CT spine · 350 mm wide · sagittal view · Bone window (WL 400, WW 1800) · 512x1305 px · a portion of the image is blanked out (constant pixel value)
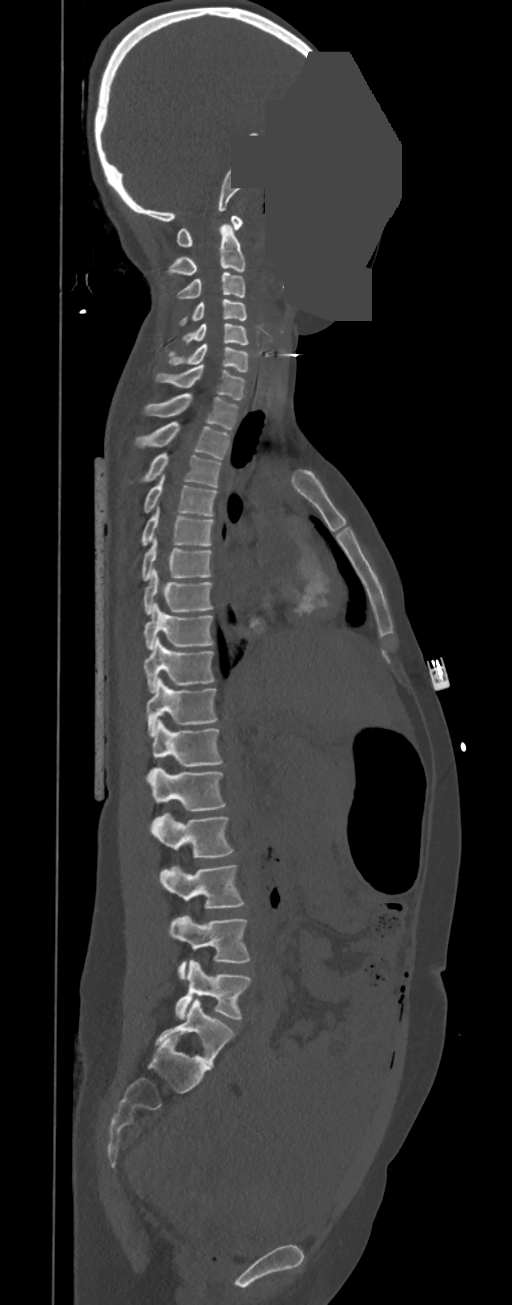

These labels give this spine no T12: after T11 the next vertebra is L1.
<vertebrae><v name="C1" x1="176" y1="216" x2="242" y2="247"/><v name="C2" x1="168" y1="225" x2="245" y2="274"/><v name="C3" x1="177" y1="273" x2="245" y2="299"/><v name="C4" x1="179" y1="299" x2="246" y2="326"/><v name="C5" x1="182" y1="323" x2="248" y2="344"/><v name="C6" x1="168" y1="344" x2="248" y2="372"/><v name="C7" x1="156" y1="365" x2="246" y2="401"/><v name="T1" x1="145" y1="392" x2="237" y2="430"/><v name="T2" x1="136" y1="421" x2="230" y2="460"/><v name="T3" x1="145" y1="453" x2="221" y2="487"/><v name="T4" x1="144" y1="474" x2="217" y2="516"/><v name="T5" x1="142" y1="506" x2="214" y2="545"/><v name="T6" x1="142" y1="537" x2="211" y2="580"/><v name="T7" x1="143" y1="570" x2="212" y2="614"/><v name="T8" x1="143" y1="602" x2="212" y2="651"/><v name="T9" x1="143" y1="637" x2="214" y2="693"/><v name="T10" x1="146" y1="677" x2="217" y2="736"/><v name="T11" x1="152" y1="720" x2="223" y2="767"/><v name="L1" x1="147" y1="766" x2="226" y2="811"/><v name="L2" x1="150" y1="812" x2="233" y2="857"/><v name="L3" x1="159" y1="865" x2="243" y2="909"/><v name="L4" x1="168" y1="915" x2="249" y2="980"/><v name="L5" x1="175" y1="960" x2="250" y2="1018"/></vertebrae>